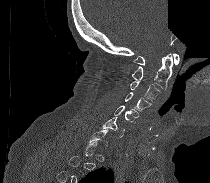
CT; sagittal view; bone-window reconstruction; 210 mm across the image; a portion of the image is blanked out (constant pixel value). Boxes: x1 y1 x2 y2 (pixel coords, space-separated).
A vertebra is boxed only from the first to the last slice where its cross-section is at least a third of its largest; slices outside that range leave it without a box.
Vertebra bounding boxes:
- C1: 133 53 179 65
- C2: 131 53 172 90
- C3: 130 81 160 102
- C4: 125 92 151 111
- C5: 114 105 138 122
- C6: 101 117 124 137